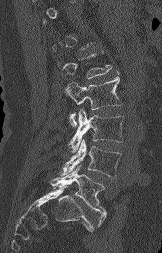

CT · sagittal view · 162x253 px
Boxes: x1 y1 x2 y2 (pixel coords, space-separated). A vertebra is boxed only from the first to the last slice where its cross-section is at least a third of its largest; slices outside that range leave it without a box. Vertebrae labeled: L2 at 65 73 122 126, L3 at 69 109 124 152, L4 at 59 139 121 178, L5 at 51 165 106 226.